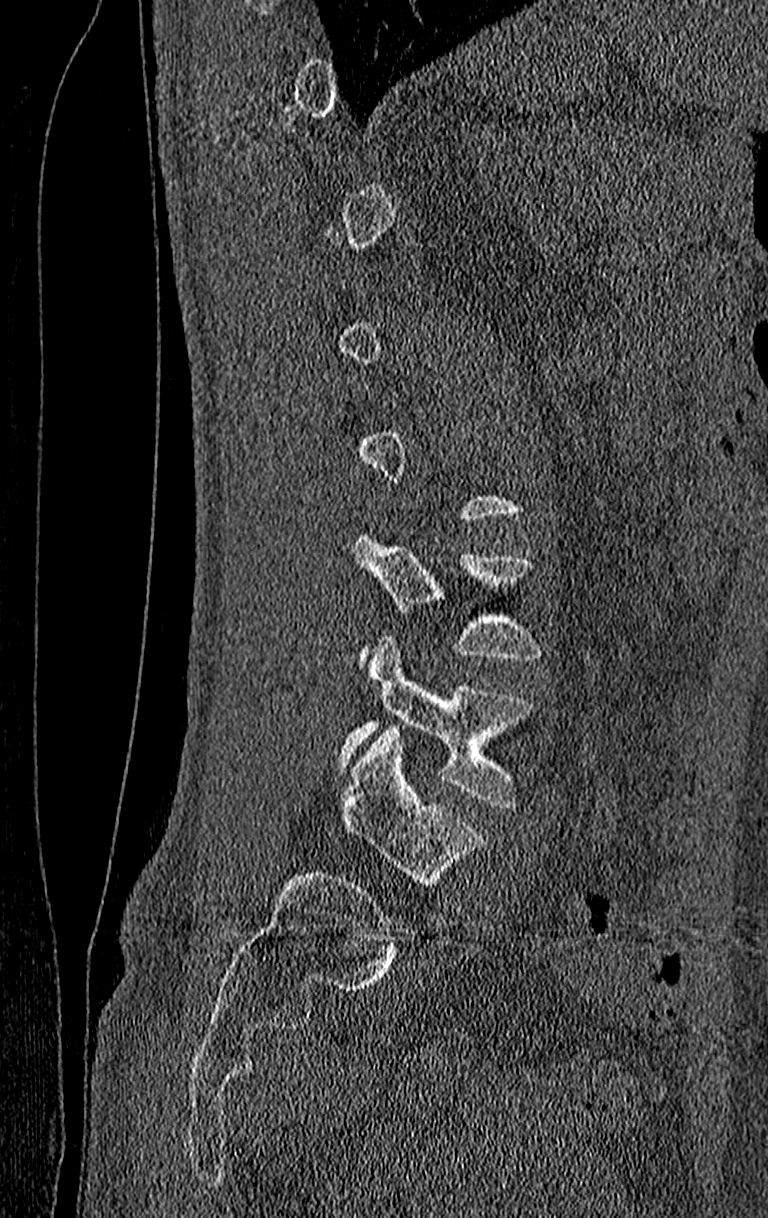

CT spine — 210 mm wide — sagittal view — 768x1218 px
Each vertebra maps to its box as [x1, y1, x2, y2], the pixel coordinates of its top-left and bottom-right corners.
Each vertebra is boxed only on the slices from the first to the last where its cross-section reaches a third of its largest, so a slice outside that range leaves it unboxed.
Labels in this scan begin with T11 at the top and end with L4 at the bottom.
{"vertebrae":{"L4":[339,637,532,809],"L3":[353,532,539,666]}}